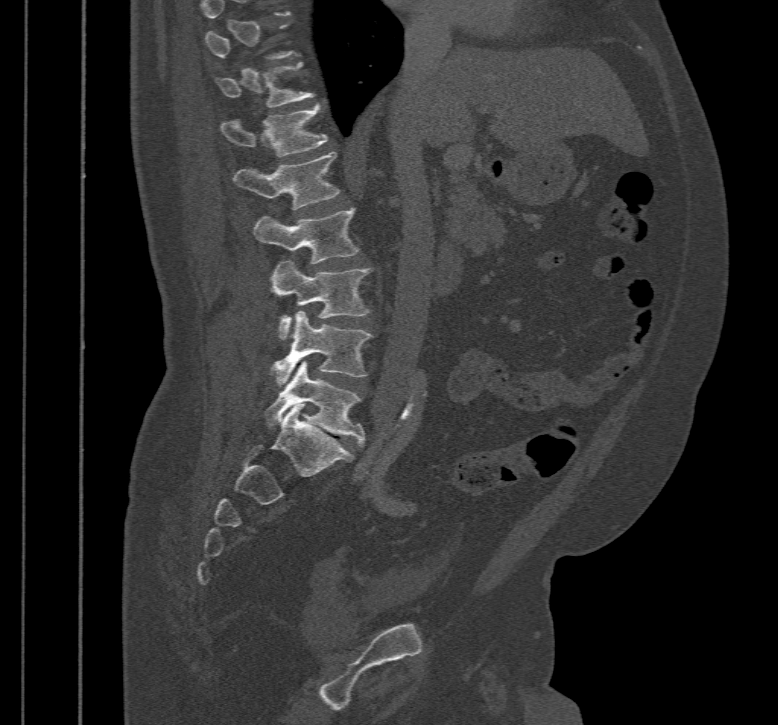 Spine CT. sagittal view. 467 mm image width

A vertebra is boxed only from the first to the last slice where its cross-section is at least a third of its largest; slices outside that range leave it without a box.
<vertebrae><v name="T11" x1="216" y1="62" x2="314" y2="108"/><v name="T12" x1="220" y1="104" x2="327" y2="156"/><v name="L1" x1="233" y1="152" x2="340" y2="209"/><v name="L2" x1="254" y1="207" x2="359" y2="263"/><v name="L3" x1="271" y1="260" x2="370" y2="339"/><v name="L4" x1="269" y1="310" x2="373" y2="387"/><v name="L5" x1="265" y1="360" x2="364" y2="445"/></vertebrae>